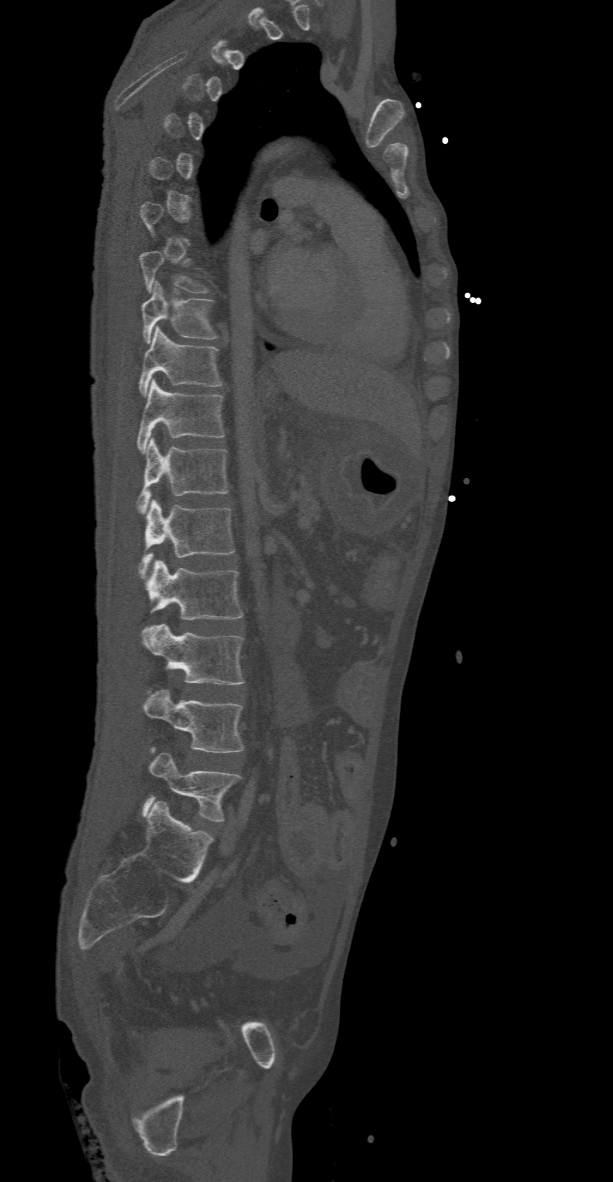 CT. sagittal view. 368 mm image width
A vertebra is boxed only from the first to the last slice where its cross-section is at least a third of its largest; slices outside that range leave it without a box.
<vertebrae><v name="L5" x1="143" y1="752" x2="239" y2="821"/><v name="L4" x1="141" y1="691" x2="243" y2="753"/><v name="L3" x1="140" y1="624" x2="243" y2="685"/><v name="L2" x1="145" y1="559" x2="242" y2="620"/><v name="L1" x1="140" y1="499" x2="234" y2="575"/><v name="T12" x1="137" y1="436" x2="227" y2="513"/><v name="T11" x1="137" y1="379" x2="224" y2="453"/><v name="T10" x1="138" y1="326" x2="222" y2="395"/><v name="T9" x1="141" y1="282" x2="217" y2="343"/></vertebrae>